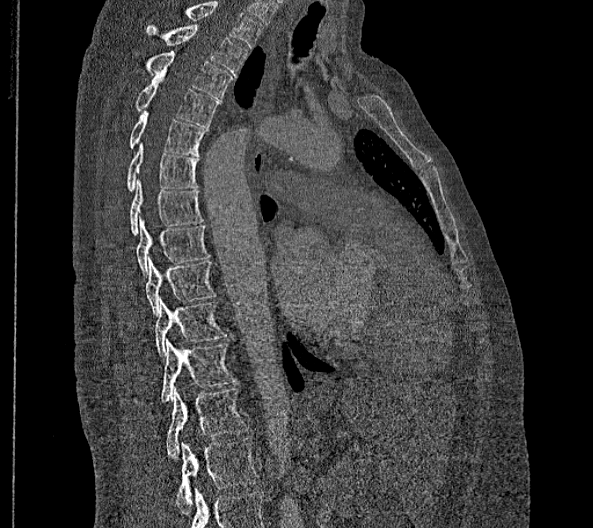

Spine CT; sagittal reformat; 593x528 px; 356 mm across the image
Boxes are (x1, y1, x2, y2) in pixels. The highest labeled vertebra in this scan is T2; the lowest is L2. These labels give this spine no T12: after T11 the next vertebra is L1. Vertebrae labeled: T2 at (146, 25, 247, 76), T3 at (145, 52, 231, 99), T4 at (134, 74, 219, 126), T5 at (130, 110, 209, 156), T6 at (126, 143, 198, 191), T7 at (130, 180, 202, 234), T8 at (137, 217, 210, 275), T9 at (146, 256, 216, 315), T10 at (155, 297, 225, 358), T11 at (161, 339, 235, 402), L1 at (167, 388, 247, 458), L2 at (176, 437, 261, 512).